Spine computed tomography · sagittal view
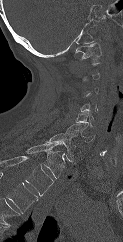 Box values are [left, top, right, bottom] in pixels.
A vertebra gets a box only on the slices from the first to the last where its cross-section is at least a third of its largest; on a slice outside that range it gets none.
The highest labeled vertebra in this scan is C1; the lowest is T1.
{"vertebrae":{"C1":[74,42,101,62],"C5":[75,110,93,127],"C6":[65,124,95,142],"C7":[45,133,75,161],"T1":[26,143,65,178]}}